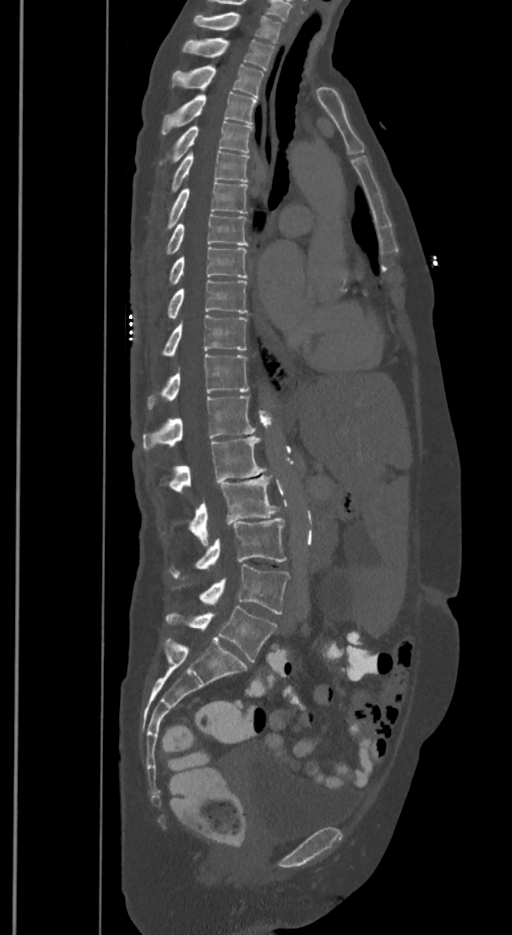 Spine computed tomography; sagittal reformat; Bone window (WL 400, WW 1800)
Box edges are left/top/right/bottom in pixels. The labels name a sixth lumbar vertebra for this spine: L6, after L5. The labeled vertebrae in this slice are: T1 at left=194, top=12, right=281, bottom=42, T2 at left=183, top=38, right=274, bottom=69, T3 at left=171, top=65, right=264, bottom=98, T4 at left=162, top=92, right=256, bottom=133, T5 at left=161, top=121, right=252, bottom=164, T6 at left=171, top=151, right=249, bottom=193, T7 at left=165, top=182, right=247, bottom=231, T8 at left=165, top=213, right=247, bottom=253, T9 at left=169, top=246, right=247, bottom=285, T10 at left=167, top=279, right=246, bottom=318, T11 at left=162, top=315, right=246, bottom=356, T12 at left=148, top=354, right=249, bottom=408, L1 at left=143, top=396, right=255, bottom=449, L2 at left=167, top=436, right=265, bottom=493, L3 at left=188, top=475, right=278, bottom=545, L4 at left=169, top=517, right=285, bottom=578, L5 at left=174, top=565, right=288, bottom=614, L6 at left=165, top=606, right=277, bottom=661.